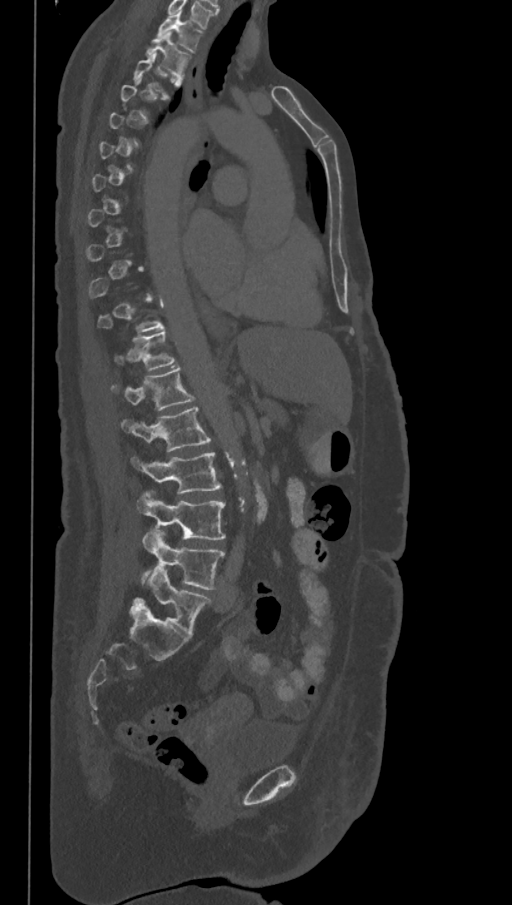
Spine CT. sagittal view. the image is 368 mm wide. bone window. 512x905 px

A vertebra gets a box only on the slices from the first to the last where its cross-section is at least a third of its largest; on a slice outside that range it gets none.
These labels give the spine a sixth lumbar vertebra, L6, below L5.
<vertebrae><v name="L6" x1="134" y1="566" x2="212" y2="636"/><v name="L5" x1="140" y1="528" x2="226" y2="589"/><v name="L4" x1="136" y1="491" x2="226" y2="540"/><v name="L3" x1="131" y1="452" x2="221" y2="492"/><v name="L2" x1="121" y1="407" x2="212" y2="451"/><v name="L1" x1="110" y1="367" x2="195" y2="411"/><v name="T12" x1="112" y1="331" x2="175" y2="370"/><v name="T2" x1="146" y1="31" x2="191" y2="77"/><v name="T1" x1="156" y1="11" x2="203" y2="52"/></vertebrae>